CT spine. sagittal reformat. bone-window reconstruction. 512x640 px. scan covers 11 annotated vertebrae
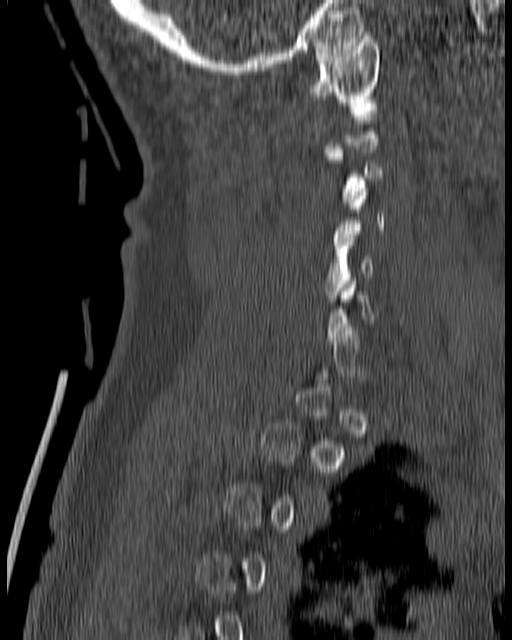 Boxes: x1 y1 x2 y2 (pixel coords, space-separated).
A vertebra gets a box only on the slices from the first to the last where its cross-section is at least a third of its largest; on a slice outside that range it gets none.
Vertebra bounding boxes:
- C5: 323 235 373 301
- C3: 324 146 384 205
- C1: 306 32 380 109